Spine computed tomography. sagittal view. bone-window reconstruction. 526x900 px. image width 473 mm. some of the image was removed or blocked out with constant pixels
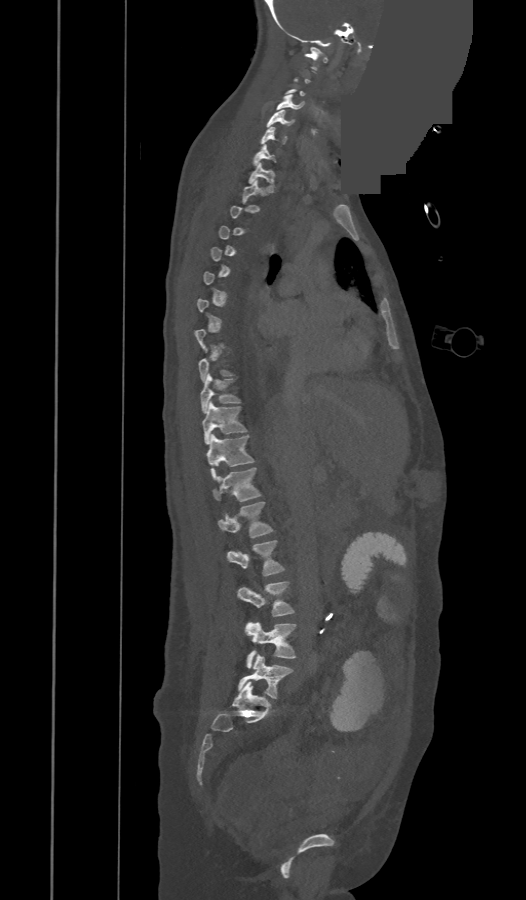

Boxes are (x1, y1, x2, y2) in pixels.
A vertebra is boxed only from the first to the last slice where its cross-section is at least a third of its largest; slices outside that range leave it without a box.
The labels name an extra thoracic vertebra here, T13, which comes after T12 and before L1.
C1: (304, 47, 327, 69)
C4: (276, 95, 304, 109)
C5: (267, 109, 293, 127)
C6: (260, 127, 286, 144)
C7: (254, 145, 275, 165)
T1: (248, 162, 274, 185)
T2: (242, 180, 265, 202)
T10: (200, 373, 240, 412)
T11: (202, 401, 246, 444)
T12: (206, 435, 254, 478)
T13: (214, 468, 260, 501)
L1: (218, 501, 272, 537)
L2: (227, 540, 283, 576)
L3: (238, 581, 294, 616)
L4: (245, 622, 296, 668)
L5: (238, 655, 293, 698)